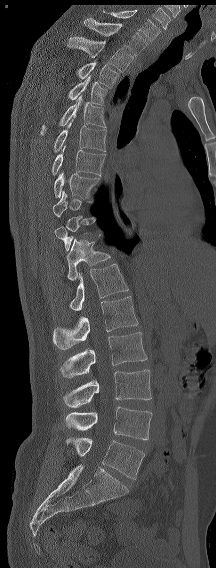
CT spine — sagittal view — 216 mm image width — 216x568 px. Columns x1, y1, x2, y2 give each box's top-left and bottom-right pixels.
Each vertebra is boxed only on the slices from the first to the last where its cross-section reaches a third of its largest, so a slice outside that range leaves it unboxed.
The highest labeled vertebra in this scan is C7; the lowest is L6.
These labels give the spine a sixth lumbar vertebra, L6, below L5.
| vertebra | x1 | y1 | x2 | y2 |
|---|---|---|---|---|
| C7 | 102 | 10 | 160 | 41 |
| T1 | 84 | 18 | 147 | 55 |
| T2 | 67 | 36 | 133 | 72 |
| T3 | 76 | 61 | 119 | 88 |
| T4 | 67 | 75 | 107 | 105 |
| T5 | 40 | 95 | 106 | 135 |
| T6 | 53 | 120 | 106 | 152 |
| T7 | 51 | 146 | 105 | 175 |
| T8 | 54 | 171 | 99 | 198 |
| T12 | 66 | 238 | 110 | 280 |
| L1 | 69 | 263 | 128 | 310 |
| L2 | 53 | 296 | 138 | 350 |
| L3 | 60 | 332 | 147 | 378 |
| L4 | 63 | 369 | 151 | 407 |
| L5 | 65 | 406 | 152 | 440 |
| L6 | 66 | 437 | 144 | 479 |